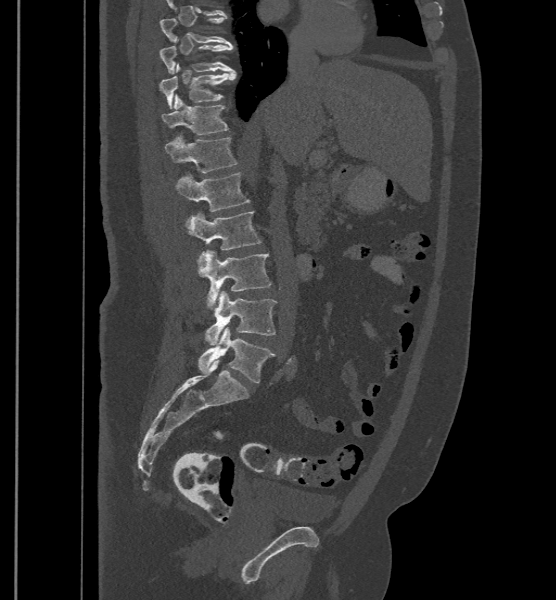
CT, spine · the image spans 500 mm across · sagittal view · Bone window (WL 400, WW 1800) · 556x600 px
In this scan, the topmost labeled vertebra is T9 and the lowest is L6.
In these labels the spine has an L6, a sixth lumbar vertebra below L5.
<vertebrae><v name="T9" x1="160" y1="17" x2="232" y2="47"/><v name="T10" x1="160" y1="38" x2="233" y2="73"/><v name="T11" x1="158" y1="63" x2="236" y2="108"/><v name="T12" x1="161" y1="94" x2="228" y2="135"/><v name="L1" x1="165" y1="134" x2="237" y2="172"/><v name="L2" x1="176" y1="172" x2="250" y2="211"/><v name="L3" x1="188" y1="211" x2="262" y2="263"/><v name="L4" x1="197" y1="250" x2="271" y2="309"/><v name="L5" x1="204" y1="291" x2="277" y2="345"/><v name="L6" x1="197" y1="327" x2="275" y2="382"/></vertebrae>